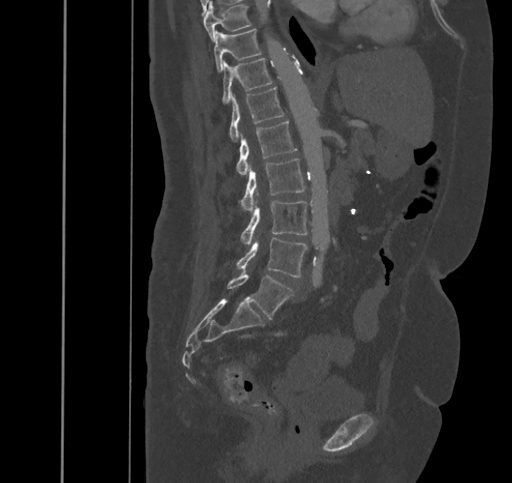 CT, spine. sagittal reformat. bone window
Each box given as x1,y1,x2,y2. Vertebrae labeled: T9 at x1=202, y1=2, x2=250, y2=40, T10 at x1=214, y1=28, x2=260, y2=71, T11 at x1=222, y1=58, x2=272, y2=103, T12 at x1=229, y1=87, x2=283, y2=141, L1 at x1=236, y1=121, x2=296, y2=174, L2 at x1=239, y1=158, x2=305, y2=211, L3 at x1=242, y1=200, x2=307, y2=244, L4 at x1=237, y1=237, x2=307, y2=277, L5 at x1=227, y1=270, x2=293, y2=318.